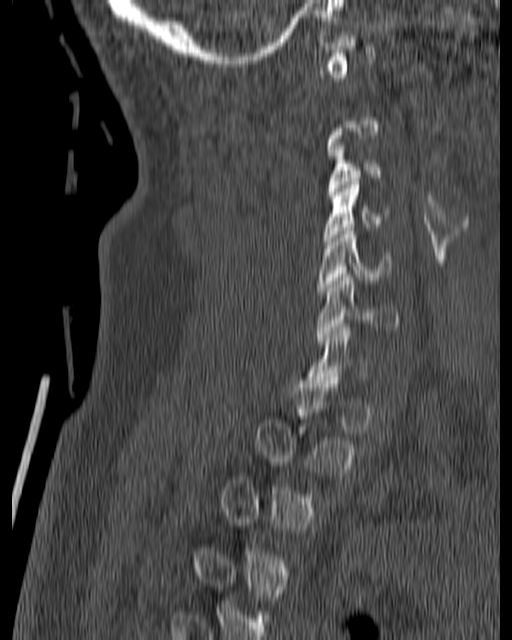 CT, spine · sagittal view · bone window · 512x640 px · 180 mm across the image
Boxes are (x1, y1, x2, y2) in pixels.
Not every vertebra on this slice has a box: a vertebra is boxed only from the first to the last slice where its cross-section is at least a third of its largest, and this slice is outside that range for at least one of them.
Vertebra bounding boxes:
- C3: (328, 142, 381, 195)
- C4: (322, 178, 389, 244)
- C5: (317, 228, 390, 294)
- C6: (316, 274, 400, 344)